CT spine. Sagittal slice 72/145. 146x164 px
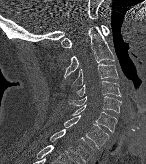
Box edges are left/top/right/bottom in pixels.
C1: left=61, top=24, right=109, bottom=47
C2: left=64, top=26, right=115, bottom=79
C3: left=72, top=63, right=118, bottom=86
C4: left=76, top=81, right=121, bottom=97
C5: left=69, top=94, right=121, bottom=113
C6: left=73, top=104, right=116, bottom=132
C7: left=63, top=115, right=108, bottom=148
T1: left=50, top=128, right=93, bottom=162